CT, spine · Sagittal slice 329/619 · 342 mm wide · Bone window (WL 400, WW 1800) · 512x1029 px
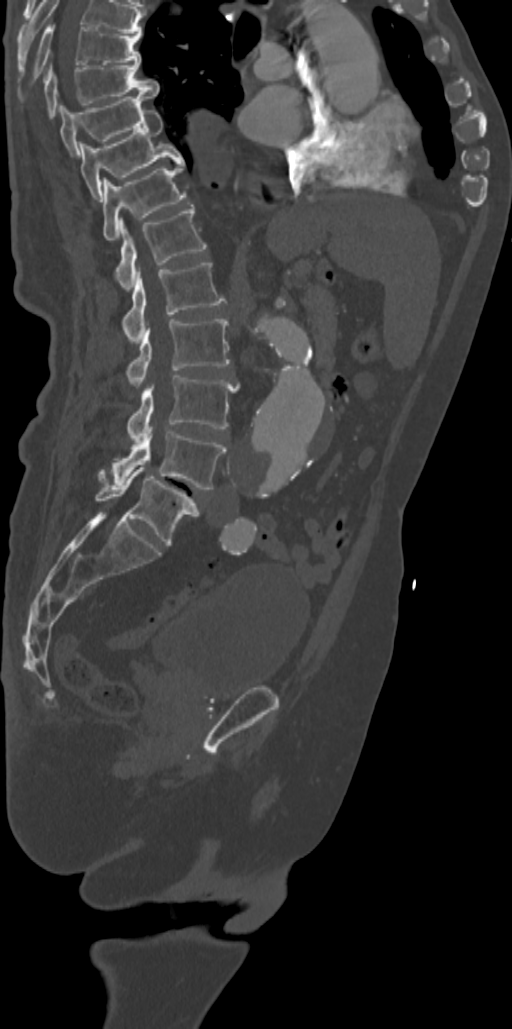
Bounding boxes as [x1, y1, x2, y2] in pixel coordinates.
Labels in this scan begin with T7 at the top and end with L5 at the bottom.
T7: [18, 25, 141, 102]
T8: [43, 63, 158, 118]
T9: [60, 94, 153, 154]
T10: [79, 110, 184, 201]
T11: [103, 162, 186, 239]
T12: [114, 204, 207, 289]
L1: [121, 261, 225, 343]
L2: [126, 319, 231, 385]
L3: [127, 375, 238, 442]
L4: [99, 427, 226, 489]
L5: [94, 467, 199, 545]